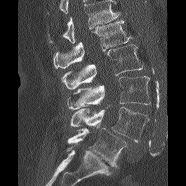 CT spine; sagittal view; Bone window (WL 400, WW 1800); 186x186 px
Box values are [left, top, right, bottom] in pixels.
Vertebrae that run past the top of the scan are left unlabeled.
{"vertebrae":{"L1":[53,20,131,68],"L2":[61,44,143,89],"L3":[66,76,150,110],"L4":[71,107,149,141],"L5":[67,128,127,166]}}